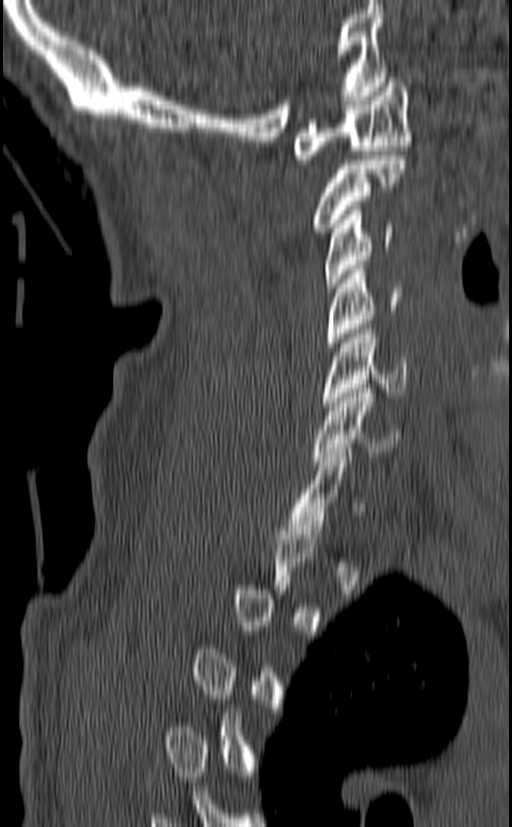
Spine CT; sagittal view; bone-window reconstruction
Each box is [x1, y1, x2, y2] in pixels: top-left corner, then bottom-right corner.
Each vertebra is boxed only on the slices from the first to the last where its cross-section reaches a third of its largest, so a slice outside that range leaves it unboxed.
{"vertebrae":{"C1":[290,78,412,164],"C2":[312,155,406,232],"C3":[324,206,394,292],"C4":[327,265,402,346],"C5":[321,325,406,406],"C6":[312,384,401,465],"C7":[287,448,363,534]}}